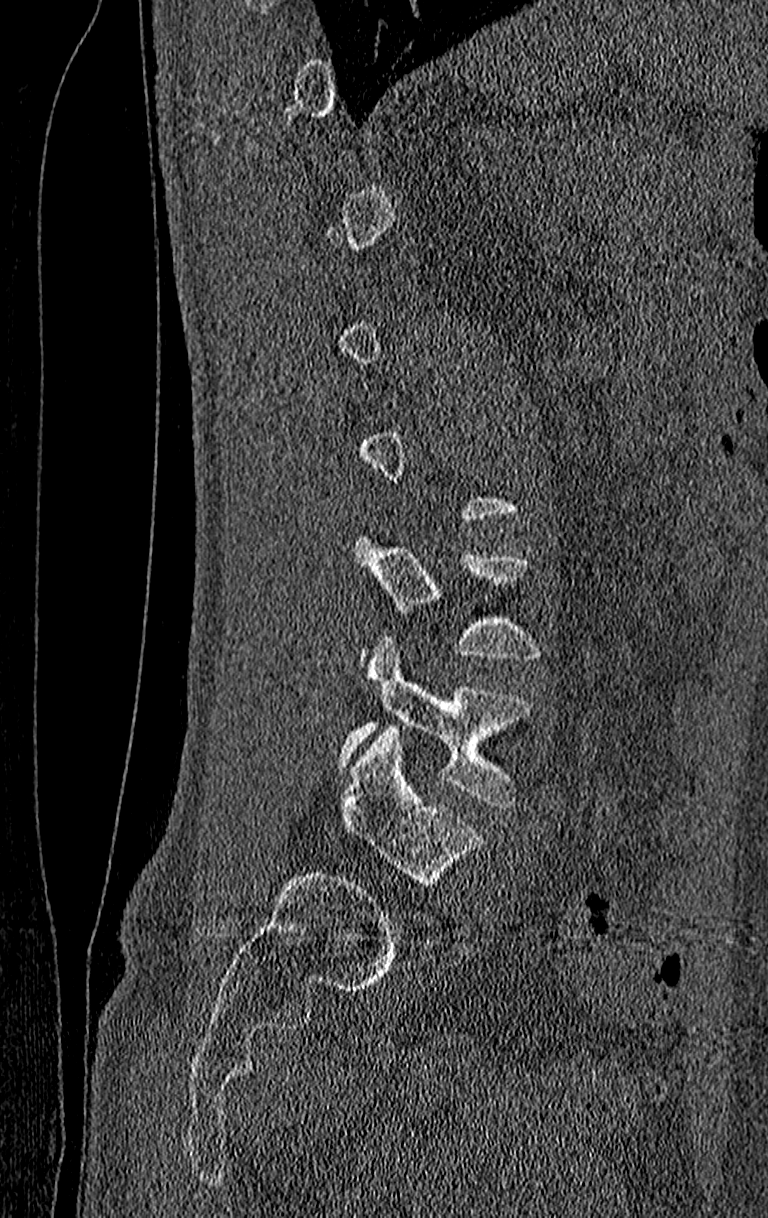
Spine computed tomography — sagittal view — bone window

Each box given as x1,y1,x2,y2.
Each vertebra is boxed only on the slices from the first to the last where its cross-section reaches a third of its largest, so a slice outside that range leaves it unboxed.
In this scan, the topmost labeled vertebra is T11 and the lowest is L4.
| vertebra | x1 | y1 | x2 | y2 |
|---|---|---|---|---|
| L4 | 339 | 637 | 532 | 809 |
| L3 | 353 | 532 | 539 | 662 |